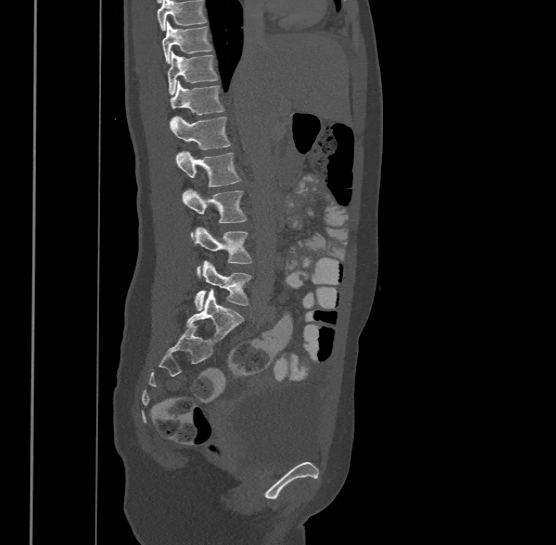 Spine CT; sagittal view; bone window. Boxes: x1:y1:x2:y2 in pixels. Where the top of the scan cuts through a vertebra, that vertebra gets no label or box. Labels in this scan begin with T9 at the top and end with L4 at the bottom. 8 vertebrae labeled — L4 at 194:260:251:310; L3 at 193:226:252:272; L2 at 182:188:246:237; L1 at 177:150:240:186; T12 at 168:115:230:149; T11 at 170:80:225:116; T10 at 168:51:218:93; T9 at 162:21:213:62.